CT — Sagittal slice 451/768 — Bone window (WL 400, WW 1800) — image width 227 mm
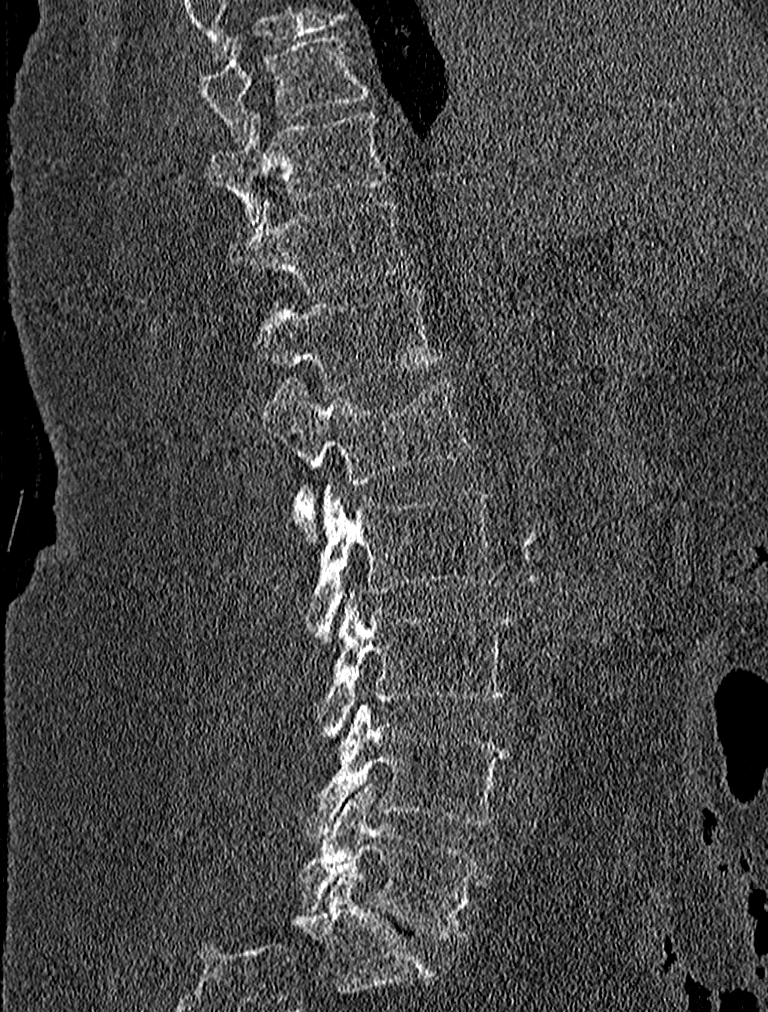 Boxes: x1 y1 x2 y2 (pixel coords, space-separated).
Vertebra bounding boxes:
- L5: 300 787 485 938
- L4: 295 702 509 839
- L3: 320 589 512 739
- L2: 310 481 502 648
- L1: 262 376 475 535
- T12: 252 288 438 392
- T11: 228 193 411 290
- T10: 209 111 394 223
- T9: 198 33 370 144